CT spine · sagittal view · scan covers 10 annotated vertebrae · the image spans 160 mm across
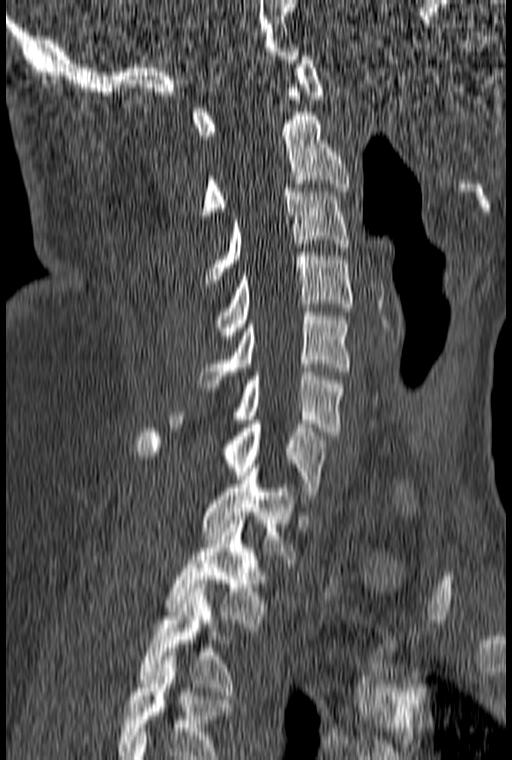 Box edges are left/top/right/bottom in pixels. This scan's labels start at C1 at the top and end at T3 at the bottom. 10 vertebrae labeled — T3 at left=139, top=584, right=234, bottom=695; T2 at left=168, top=520, right=266, bottom=627; T1 at left=200, top=464, right=297, bottom=563; C7 at left=136, top=424, right=327, bottom=499; C6 at left=170, top=368, right=343, bottom=435; C5 at left=200, top=308, right=350, bottom=387; C4 at left=215, top=252, right=352, bottom=347; C3 at left=206, top=188, right=349, bottom=283; C2 at left=201, top=112, right=349, bottom=219; C1 at left=193, top=56, right=323, bottom=139.